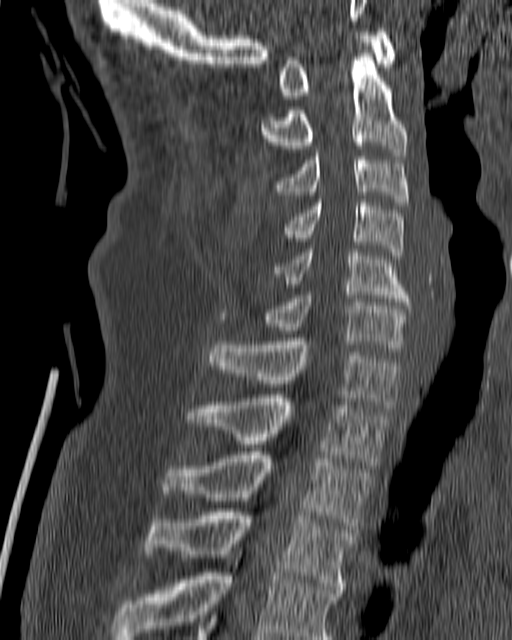

Spine computed tomography. sagittal view. Bone window (WL 400, WW 1800). Boxes are (x1, y1, x2, y2) in pixels.
Vertebra bounding boxes:
- C1: (279, 28, 396, 99)
- C2: (259, 50, 407, 155)
- C3: (271, 149, 409, 205)
- C4: (285, 199, 404, 259)
- C5: (274, 249, 410, 305)
- C6: (263, 292, 409, 347)
- C7: (206, 338, 401, 408)
- T1: (185, 395, 387, 465)
- T2: (160, 452, 373, 529)
- T3: (143, 508, 355, 593)
- T4: (112, 551, 338, 639)